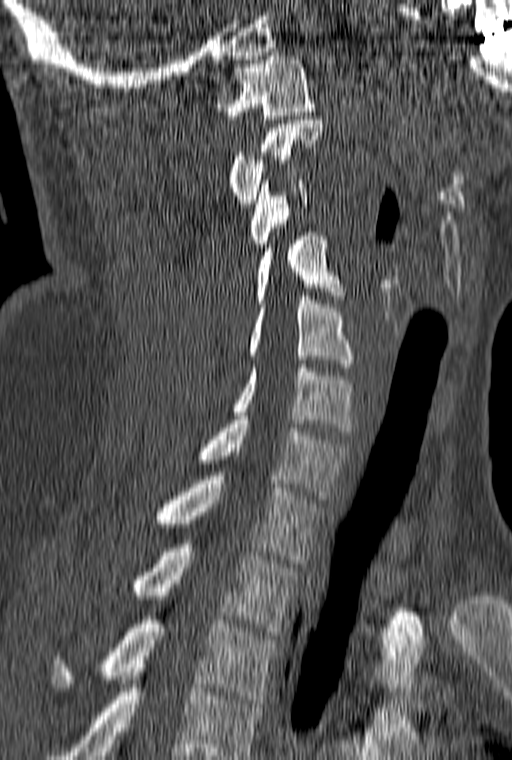 Spine CT · sagittal view · W/L 1800/400 HU. Each box given as x1,y1,x2,y2.
In this scan, the topmost labeled vertebra is C1 and the lowest is T3.
T3: x1=52, y1=616, x2=279, y2=703
T2: x1=132, y1=544, x2=298, y2=635
T1: x1=155, y1=472, x2=323, y2=563
C7: x1=196, y1=420, x2=349, y2=499
C6: x1=232, y1=364, x2=355, y2=435
C5: x1=248, y1=292, x2=353, y2=367
C4: x1=254, y1=232, x2=343, y2=307
C3: x1=250, y1=180, x2=308, y2=251
C2: x1=229, y1=120, x2=324, y2=207
C1: x1=216, y1=52, x2=314, y2=119